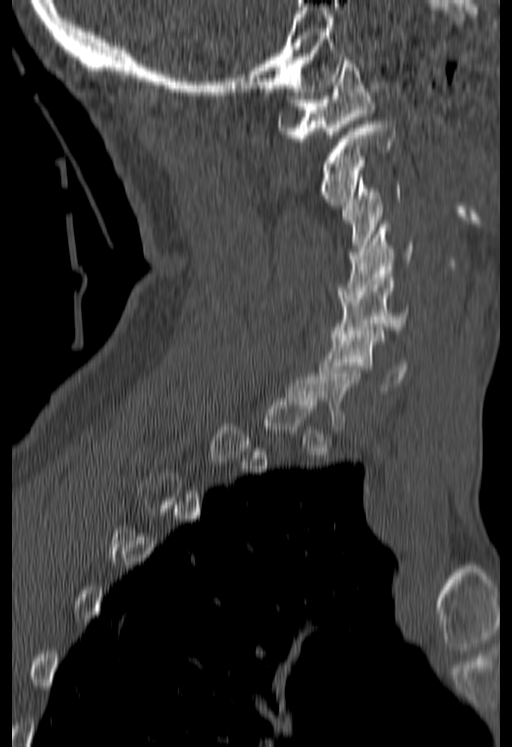 CT; sagittal view; 180 mm wide. Box edges are left/top/right/bottom in pixels.
A vertebra gets a box only on the slices from the first to the last where its cross-section is at least a third of its largest; on a slice outside that range it gets none.
| vertebra | x1 | y1 | x2 | y2 |
|---|---|---|---|---|
| C1 | 277 | 57 | 373 | 141 |
| C2 | 317 | 121 | 395 | 205 |
| C3 | 342 | 178 | 400 | 255 |
| C4 | 339 | 224 | 414 | 298 |
| C5 | 331 | 274 | 413 | 340 |
| C6 | 319 | 331 | 406 | 390 |